CT, spine · sagittal reformat · bone window · image 140 mm wide · scan covers 10 annotated vertebrae · a uniform gray block covers part of the image
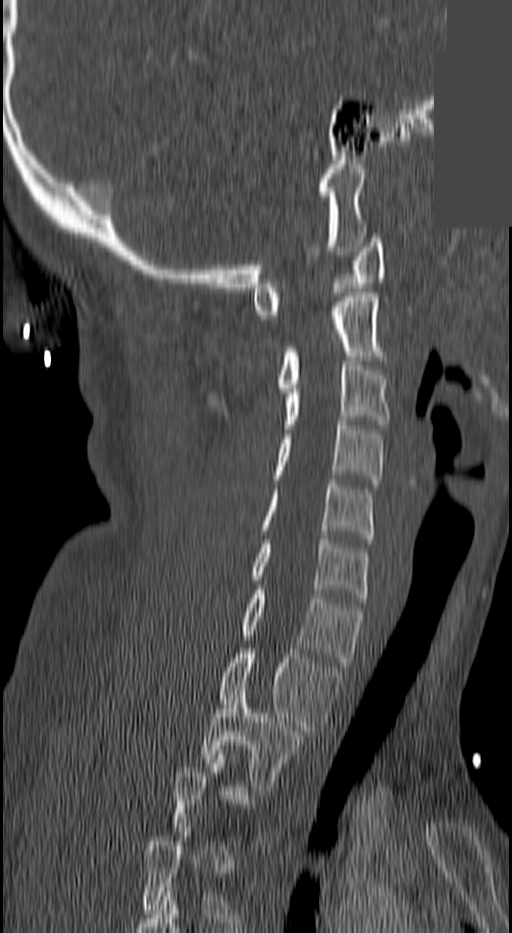
Box values are [left, top, right, bottom] in pixels.
Not every vertebra on this slice has a box: a vertebra is boxed only from the first to the last slice where its cross-section is at least a third of its largest, and this slice is outside that range for at least one of them.
{"vertebrae":{"C1":[254,238,384,319],"C2":[279,293,381,392],"C3":[282,361,389,429],"C4":[276,421,384,484],"C5":[261,480,373,543],"C6":[254,539,366,602],"C7":[243,590,362,666],"T1":[221,649,340,735],"T2":[202,690,301,790]}}